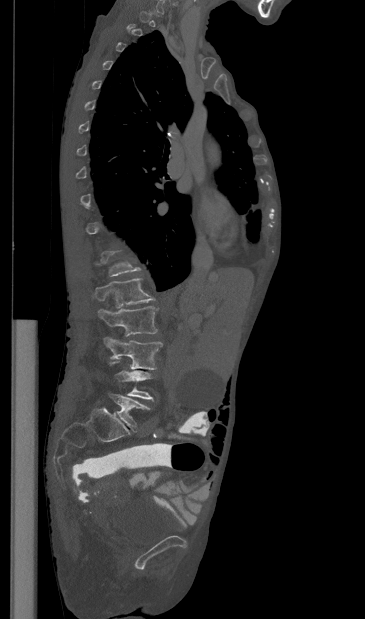 Spine computed tomography · sagittal view · image 365 mm wide

Boxes are given in columns x1, y1, x2, y2, the pixel coordinates of their top-left and bottom-right corners.
A vertebra is boxed only from the first to the last slice where its cross-section is at least a third of its largest; slices outside that range leave it without a box.
| vertebra | x1 | y1 | x2 | y2 |
|---|---|---|---|---|
| L1 | 93 | 278 | 154 | 307 |
| L2 | 98 | 306 | 158 | 336 |
| L3 | 104 | 337 | 162 | 369 |
| L4 | 110 | 362 | 153 | 400 |
| L5 | 110 | 394 | 150 | 430 |